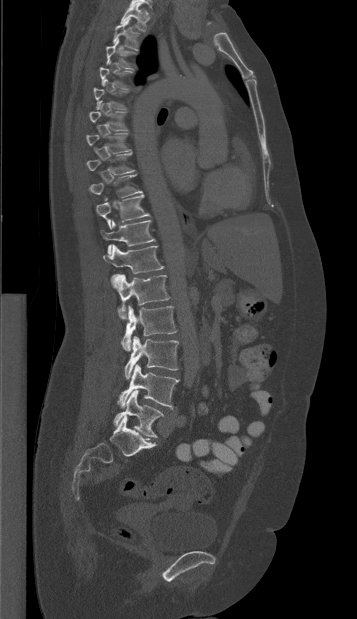

Spine CT — sagittal reformat

<vertebrae><v name="T1" x1="120" y1="2" x2="148" y2="31"/><v name="T2" x1="112" y1="18" x2="140" y2="50"/><v name="T3" x1="106" y1="39" x2="136" y2="69"/><v name="T4" x1="99" y1="61" x2="132" y2="89"/><v name="T5" x1="93" y1="80" x2="128" y2="109"/><v name="T6" x1="89" y1="100" x2="128" y2="130"/><v name="T7" x1="86" y1="133" x2="129" y2="152"/><v name="T8" x1="86" y1="152" x2="135" y2="174"/><v name="T9" x1="89" y1="174" x2="142" y2="197"/><v name="T10" x1="96" y1="194" x2="150" y2="229"/><v name="T11" x1="101" y1="220" x2="155" y2="254"/><v name="T12" x1="103" y1="244" x2="165" y2="282"/><v name="L1" x1="112" y1="274" x2="169" y2="319"/><v name="L2" x1="121" y1="305" x2="176" y2="351"/><v name="L3" x1="124" y1="336" x2="178" y2="379"/><v name="L4" x1="117" y1="364" x2="178" y2="409"/><v name="L5" x1="113" y1="390" x2="163" y2="437"/></vertebrae>